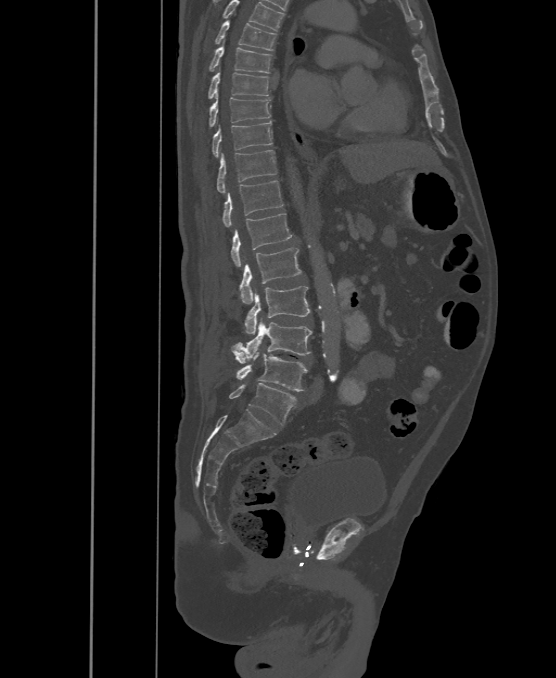

CT, spine. sagittal view. W/L 1800/400 HU
Boxes: x1:y1:x2:y2 in pixels. In this scan, the topmost labeled vertebra is T6 and the lowest is L6. These labels give the spine a sixth lumbar vertebra, L6, below L5. 13 vertebrae labeled — T6 at 216:19:276:50; T7 at 208:43:271:73; T8 at 207:70:268:98; T9 at 208:94:270:126; T10 at 213:121:272:156; T11 at 216:150:276:193; T12 at 222:180:282:227; L1 at 231:214:291:267; L2 at 240:248:302:304; L3 at 244:286:310:334; L4 at 231:317:313:362; L5 at 231:350:307:390; L6 at 229:383:295:425.